CT, spine; sagittal plane, index 283; 512x696 px; 10 vertebrae labeled in this scan
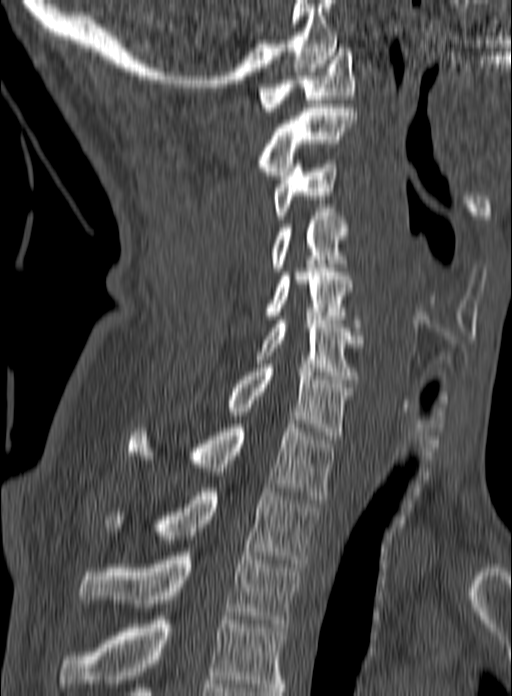

Boxes are (x1, y1, x2, y2) in pixels.
The highest labeled vertebra in this scan is C1; the lowest is T3.
Vertebra bounding boxes:
- C1: (258, 48, 355, 111)
- C2: (258, 104, 357, 175)
- C3: (273, 160, 337, 219)
- C4: (272, 212, 346, 271)
- C5: (267, 268, 362, 327)
- C6: (256, 320, 363, 383)
- C7: (228, 364, 350, 439)
- T1: (129, 420, 335, 499)
- T2: (106, 488, 317, 567)
- T3: (78, 552, 301, 627)